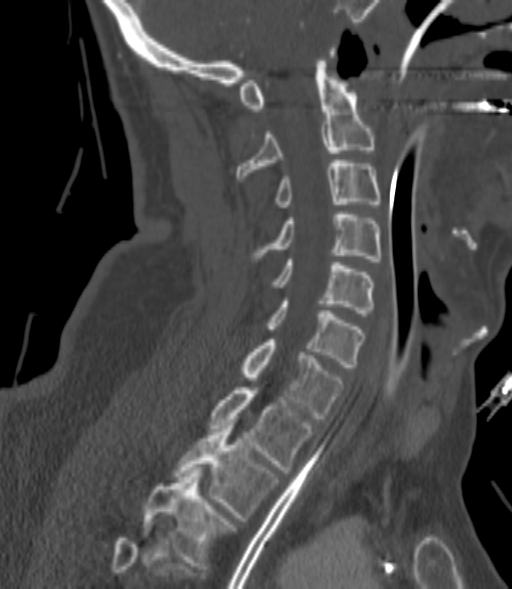
CT spine. sagittal reformat. Bone window (WL 400, WW 1800). 512x589 px
Boxes below are [x1, y1, x2, y2] in pixels.
A vertebra is boxed only from the first to the last slice where its cross-section is at least a third of its largest; slices outside that range leave it without a box.
{"vertebrae":{"C2":[236,48,374,178],"C3":[275,160,379,207],"C4":[252,211,381,261],"C5":[272,259,374,316],"C6":[264,301,363,367],"C7":[239,339,343,421],"T1":[208,387,312,473],"T2":[172,426,279,521],"T3":[142,470,235,569]}}